Spine CT; sagittal plane, index 185; bone window
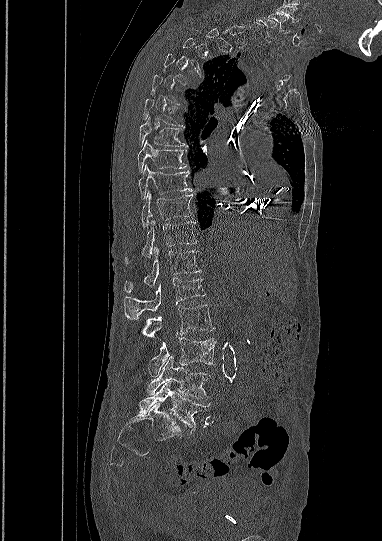

Bounding boxes as [x1, y1, x2, y2] in pixel coordinates. A vertebra gets a box only on the slices from the first to the last where its cross-section is at least a third of its largest; on a slice outside that range it gets none. The highest labeled vertebra in this scan is C5; the lowest is L5. 14 vertebrae labeled — L5 at [139, 381, 210, 432]; L4 at [146, 356, 209, 399]; L3 at [149, 337, 215, 377]; L2 at [143, 304, 213, 337]; L1 at [124, 278, 205, 318]; T12 at [125, 246, 200, 292]; T11 at [142, 219, 196, 257]; T10 at [141, 191, 192, 227]; T9 at [138, 165, 191, 198]; T8 at [137, 140, 186, 171]; T7 at [139, 117, 187, 147]; T6 at [143, 98, 184, 127]; C6 at [256, 17, 276, 41]; C5 at [268, 13, 288, 31].